CT — sagittal view — Bone window (WL 400, WW 1800) — 512x513 px
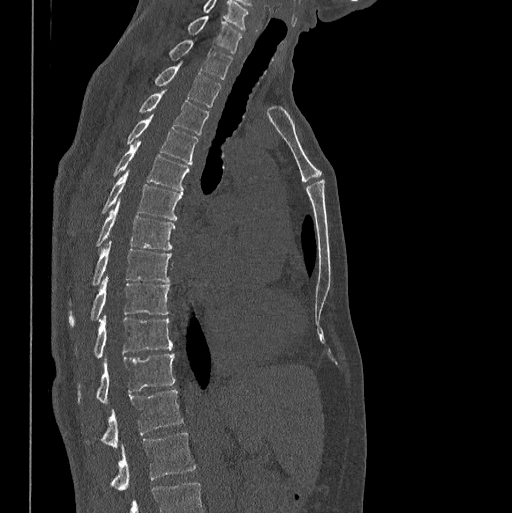 Box edges are left/top/right/bottom in pixels. The highest labeled vertebra in this scan is C7; the lowest is L1. The labeled vertebrae in this slice are: C7 at left=188, top=16, right=242, bottom=52, T1 at left=168, top=39, right=232, bottom=79, T2 at left=154, top=64, right=220, bottom=107, T3 at left=139, top=93, right=209, bottom=134, T4 at left=126, top=115, right=198, bottom=165, T5 at left=113, top=141, right=189, bottom=190, T6 at left=100, top=170, right=182, bottom=220, T7 at left=96, top=200, right=175, bottom=249, T8 at left=69, top=242, right=171, bottom=302, T9 at left=68, top=277, right=169, bottom=327, T10 at left=74, top=315, right=173, bottom=358, T11 at left=77, top=354, right=175, bottom=403, T12 at left=86, top=389, right=183, bottom=446, L1 at left=109, top=432, right=196, bottom=490.